CT; sagittal view; 512x694 px; image width 190 mm
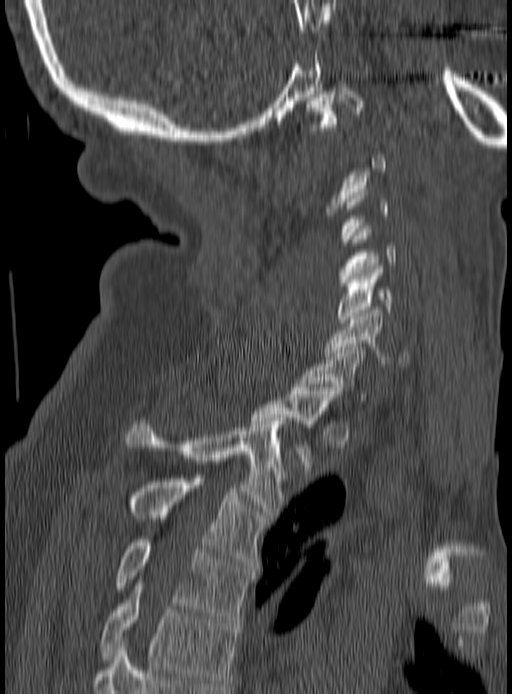
Each box is [x1, y1, x2, y2] in pixels: top-left corner, then bottom-right corner.
Each vertebra is boxed only on the slices from the first to the last where its cross-section reaches a third of its largest, so a slice outside that range leaves it unboxed.
{"vertebrae":{"C1":[306,84,364,130],"C4":[339,226,396,289],"C5":[337,266,393,322],"C6":[323,310,411,366],"C7":[300,347,368,403],"T1":[251,387,339,471],"T2":[125,418,287,514],"T3":[130,478,267,565],"T4":[117,539,253,622],"T5":[101,583,237,686]}}